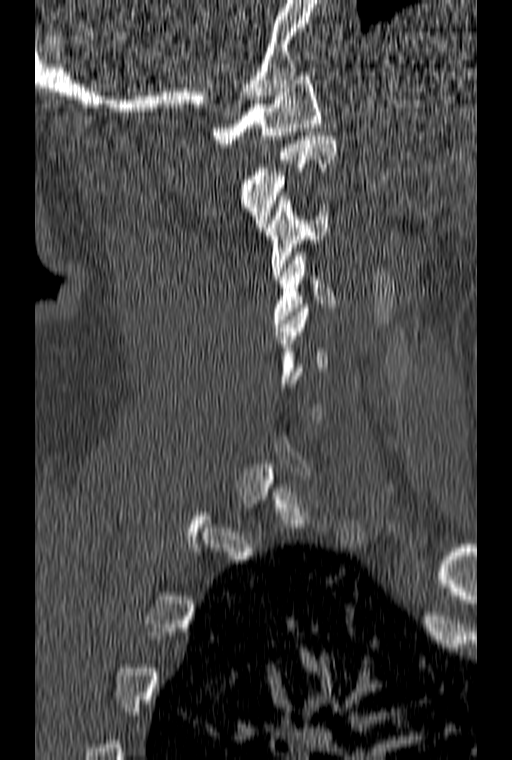 CT, spine. sagittal view. image 160 mm wide. W/L 1800/400 HU. 512x760 px
Boxes: x1 y1 x2 y2 (pixel coords, space-separated). A vertebra gets a box only on the slices from the first to the last where its cross-section is at least a third of its largest; on a slice outside that range it gets none. The labeled vertebrae in this slice are: C4 at 273 252 336 327, C3 at 266 196 327 279, C2 at 241 132 336 231, C1 at 212 72 320 147.